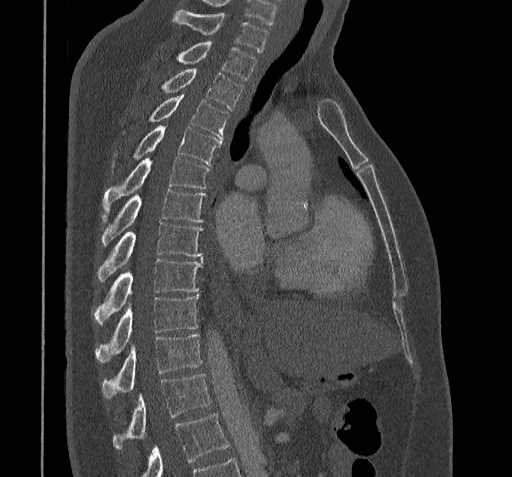

CT, spine; sagittal view; bone-window reconstruction; 512x477 px

Boxes are given in columns x1, y1, x2, y2, the pixel coordinates of their top-left and bottom-right corners.
Where the bottom of the scan cuts through a vertebra, that vertebra gets no label or box.
| vertebra | x1 | y1 | x2 | y2 |
|---|---|---|---|---|
| T11 | 113 | 374 | 210 | 448 |
| T10 | 101 | 333 | 201 | 398 |
| T9 | 95 | 295 | 197 | 362 |
| T8 | 92 | 259 | 202 | 324 |
| T7 | 97 | 222 | 202 | 281 |
| T6 | 101 | 189 | 205 | 245 |
| T5 | 103 | 157 | 209 | 221 |
| T4 | 111 | 125 | 221 | 166 |
| T3 | 148 | 94 | 228 | 141 |
| T2 | 160 | 67 | 242 | 109 |
| T1 | 176 | 42 | 256 | 79 |
| C7 | 173 | 9 | 267 | 52 |